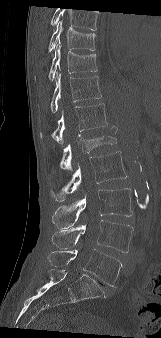

CT, spine — the image is 161 mm wide — sagittal view
Box edges are left/top/right/bottom in pixels. Vertebrae that run past the top of the scan are left unlabeled. The labeled vertebrae in this slice are: T9 at left=49, top=20, right=95, bottom=51, T10 at left=49, top=43, right=97, bottom=81, T11 at left=51, top=71, right=101, bottom=113, T12 at left=40, top=103, right=107, bottom=144, L1 at left=60, top=126, right=117, bottom=170, L2 at left=50, top=151, right=126, bottom=201, L3 at left=52, top=188, right=132, bottom=228, L4 at left=51, top=220, right=133, bottom=252, L5 at left=47, top=249, right=121, bottom=286.